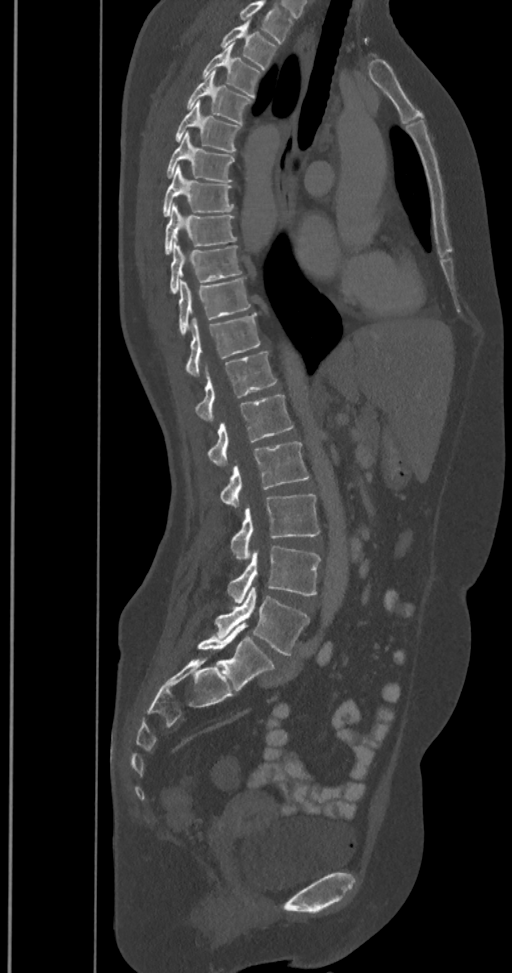 Spine CT; sagittal view. Boxes: x1:y1:x2:y2 in pixels.
Labels in this scan begin with T2 at the top and end with L6 at the bottom.
In these labels the spine has an L6, a sixth lumbar vertebra below L5.
T2: 221:21:277:70
T3: 202:45:261:98
T4: 186:71:252:124
T5: 174:100:240:152
T6: 165:132:234:182
T7: 162:166:233:216
T8: 165:204:237:254
T9: 169:242:242:294
T10: 178:278:250:335
T11: 186:313:261:376
T12: 196:352:277:420
L1: 207:394:293:466
L2: 221:442:309:507
L3: 231:494:319:560
L4: 228:546:321:603
L5: 215:587:309:655
L6: 197:623:274:692